CT. Sagittal slice 174/381. W/L 1800/400 HU. 381x252 px
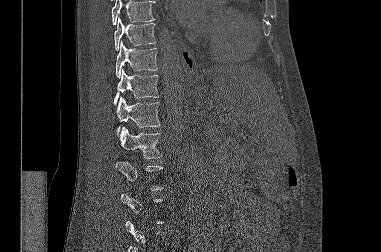

Each vertebra is boxed only on the slices from the first to the last where its cross-section reaches a third of its largest, so a slice outside that range leaves it unboxed.
A vertebra cut off by the top edge of the scan is not labeled and has no box.
<vertebrae><v name="T9" x1="114" y1="17" x2="155" y2="50"/><v name="T10" x1="115" y1="41" x2="157" y2="77"/><v name="T11" x1="113" y1="69" x2="158" y2="104"/><v name="T12" x1="116" y1="97" x2="160" y2="132"/><v name="L1" x1="119" y1="127" x2="162" y2="158"/><v name="L2" x1="115" y1="161" x2="163" y2="190"/></vertebrae>